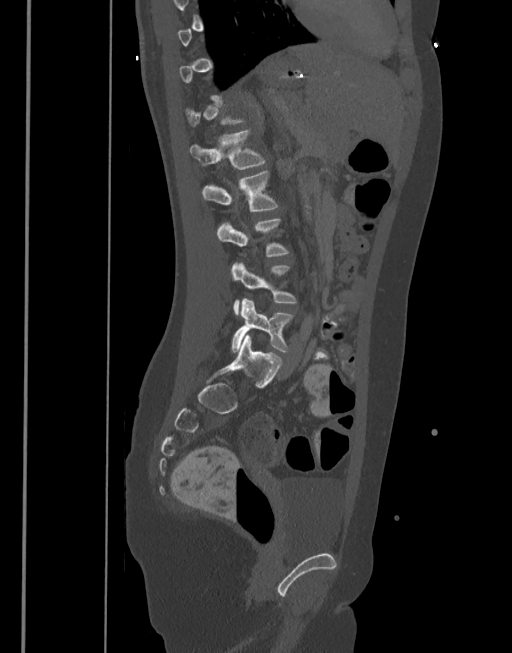
Spine CT; sagittal view; image 377 mm wide; bone window
Each vertebra maps to its box as [x1, y1, x2, y2], the pixel coordinates of its top-left and bottom-right corners.
Not every vertebra on this slice has a box: a vertebra is boxed only from the first to the last slice where its cross-section is at least a third of its largest, and this slice is outside that range for at least one of them.
{"vertebrae":{"L1":[190,130,265,170],"L2":[202,170,279,212],"L3":[217,219,289,257],"L4":[231,262,296,314],"L5":[231,298,294,352]}}